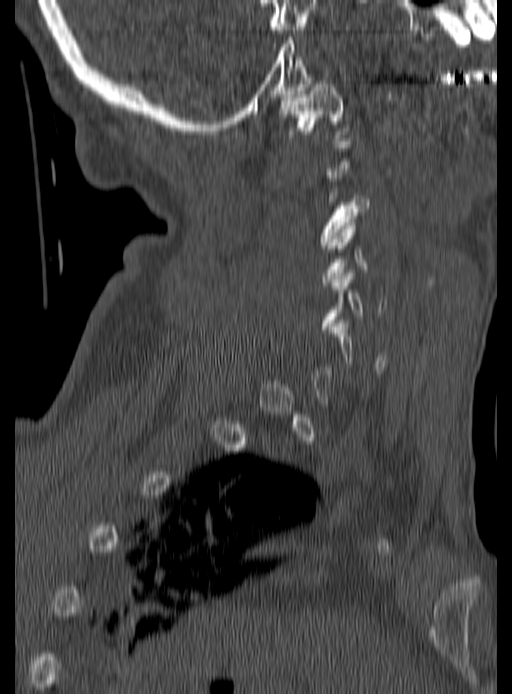
CT · sagittal view · bone window · 512x694 px
Boxes: x1 y1 x2 y2 (pixel coords, space-separated).
Each vertebra is boxed only on the slices from the first to the last where its cross-section reaches a third of its largest, so a slice outside that range leaves it unboxed.
Vertebra bounding boxes:
- C1: 279 81 350 144
- C3: 318 182 370 245
- C4: 322 222 383 285
- C5: 322 269 387 329